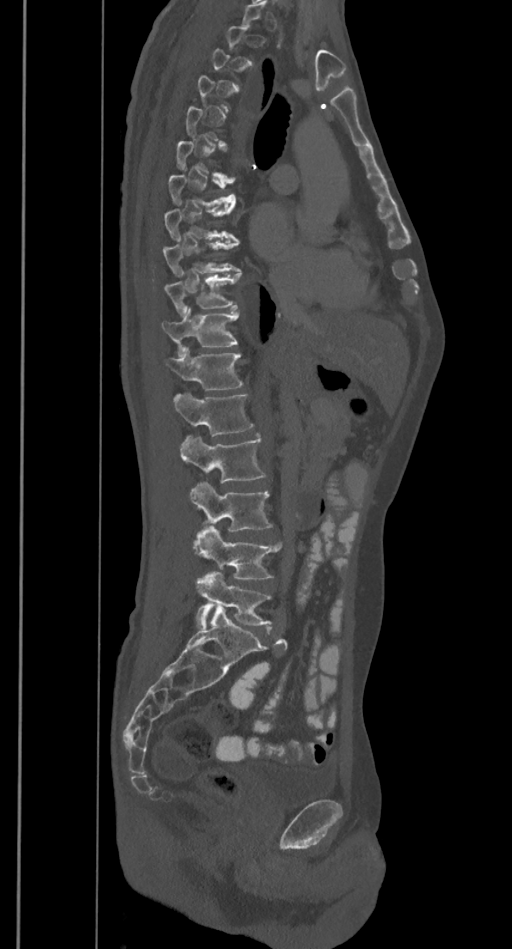

CT; sagittal view; Bone window (WL 400, WW 1800)

Boxes are (x1, y1, x2, y2) in pixels.
A vertebra is boxed only from the first to the last slice where its cross-section is at least a third of its largest; slices outside that range leave it without a box.
L5: (195, 571, 271, 626)
L4: (194, 527, 281, 579)
L3: (190, 482, 271, 532)
L2: (181, 436, 266, 483)
L1: (174, 394, 253, 436)
T12: (165, 347, 242, 389)
T11: (162, 308, 238, 350)
T10: (163, 274, 241, 314)
T9: (162, 242, 239, 274)
T8: (163, 206, 235, 240)
T7: (167, 175, 236, 206)